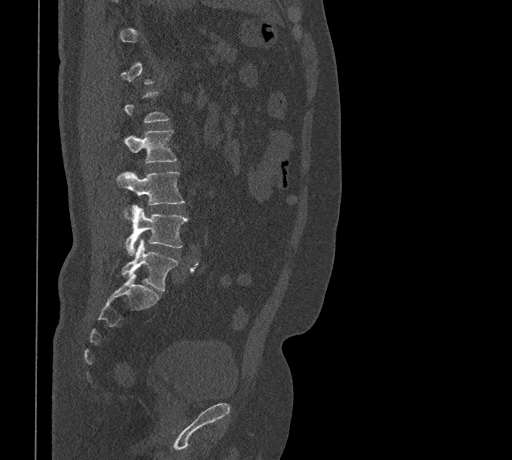

CT, spine. sagittal view. bone-window reconstruction
Columns x1, y1, x2, y2 give each box's top-left and bottom-right pixels.
A vertebra gets a box only on the slices from the first to the last where its cross-section is at least a third of its largest; on a slice outside that range it gets none.
| vertebra | x1 | y1 | x2 | y2 |
|---|---|---|---|---|
| L2 | 123 | 130 | 176 | 162 |
| L3 | 117 | 171 | 184 | 205 |
| L4 | 125 | 206 | 188 | 255 |
| L5 | 121 | 239 | 177 | 291 |